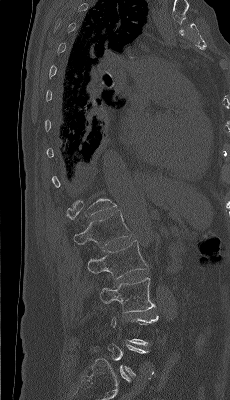 Spine CT · sagittal view · bone-window reconstruction · image 230 mm wide · 230x400 px
Boxes below are [x1, y1, x2, y2] in pixels.
Not every vertebra on this slice has a box: a vertebra is boxed only from the first to the last slice where its cross-section is at least a third of its largest, and this slice is outside that range for at least one of them.
{"vertebrae":{"L1":[73,211,131,249],"L2":[87,240,147,279],"L3":[99,277,155,312]}}